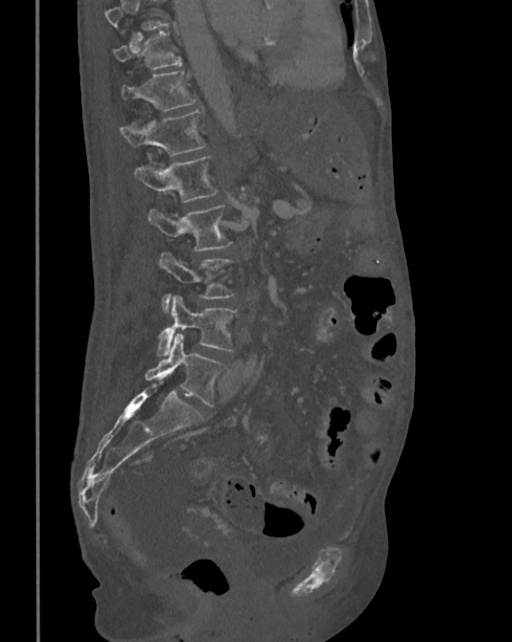
CT spine. sagittal view

Boxes are (x1, y1, x2, y2) in pixels. A vertebra cut off by the top edge of the scan is not labeled and has no box. Vertebrae labeled: T10 at (112, 31, 182, 72), T11 at (120, 71, 198, 110), T12 at (120, 111, 205, 155), L1 at (133, 156, 219, 202), L2 at (148, 205, 232, 251), L3 at (158, 252, 234, 311), L4 at (157, 296, 237, 355), L5 at (145, 333, 228, 407).